CT, spine — sagittal reformat — the image is 356 mm wide
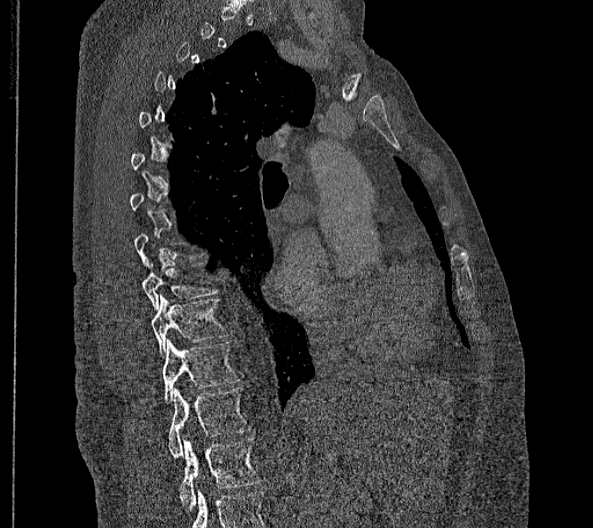

Box edges are left/top/right/bottom in pixels.
Each vertebra is boxed only on the slices from the first to the last where its cross-section reaches a third of its largest, so a slice outside that range leaves it unboxed.
These labels give this spine no T12: after T11 the next vertebra is L1.
| vertebra | x1 | y1 | x2 | y2 |
|---|---|---|---|---|
| T9 | 141 | 263 | 217 | 310 |
| T10 | 149 | 295 | 225 | 358 |
| T11 | 161 | 339 | 239 | 403 |
| L1 | 168 | 388 | 249 | 457 |
| L2 | 178 | 438 | 259 | 511 |